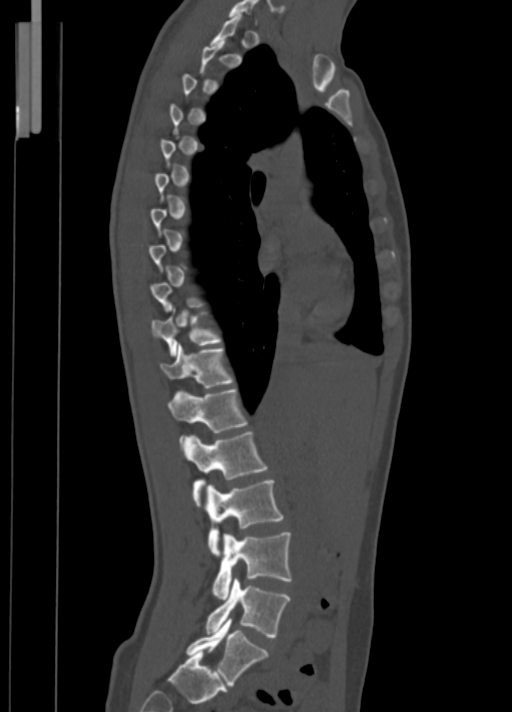
Computed tomography of the spine — sagittal view — image width 350 mm — bone window — 512x712 px
Boxes are (x1, y1, x2, y2) in pixels. Not every vertebra on this slice has a box: a vertebra is boxed only from the first to the last slice where its cross-section is at least a third of its largest, and this slice is outside that range for at least one of them. Vertebrae labeled: C7 at (228, 0, 258, 22), T10 at (152, 307, 223, 356), T11 at (159, 344, 234, 388), T12 at (167, 388, 247, 450), L1 at (186, 432, 268, 507), L2 at (206, 480, 284, 556), L3 at (212, 532, 291, 599), L4 at (206, 578, 290, 637), L5 at (187, 619, 268, 685).